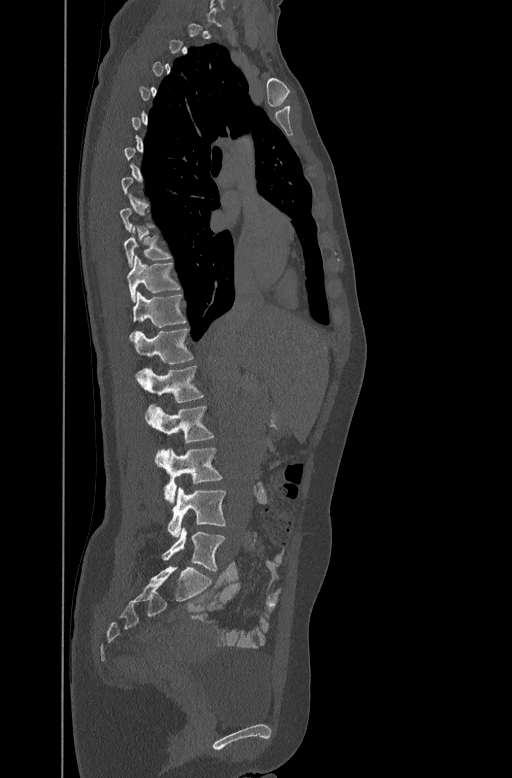 Spine CT. sagittal reformat. 512x778 px

Columns x1, y1, x2, y2 give each box's top-left and bottom-right pixels.
A vertebra is boxed only from the first to the last slice where its cross-section is at least a third of its largest; slices outside that range leave it without a box.
| vertebra | x1 | y1 | x2 | y2 |
|---|---|---|---|---|
| L5 | 161 | 529 | 226 | 571 |
| L4 | 167 | 488 | 226 | 536 |
| L3 | 156 | 447 | 222 | 506 |
| L2 | 145 | 405 | 214 | 443 |
| L1 | 136 | 364 | 204 | 402 |
| T12 | 135 | 327 | 194 | 363 |
| T11 | 129 | 291 | 187 | 339 |
| T10 | 127 | 255 | 181 | 300 |
| T9 | 124 | 224 | 172 | 266 |